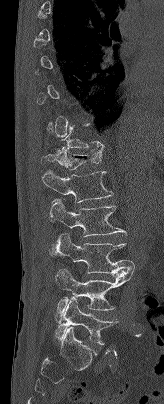
Spine CT · sagittal view · Bone window (WL 400, WW 1800) · the image is 164 mm wide
Coordinates as <box>x1,y1,x2,y2</box>.
A vertebra is boxed only from the first to the last slice where its cross-section is at least a third of its largest; slices outside that range leave it without a box.
L5: <box>55,298,117,345</box>
L4: <box>56,268,134,315</box>
L3: <box>55,234,134,274</box>
L2: <box>50,199,126,254</box>
L1: <box>42,170,113,203</box>
T12: <box>41,146,103,169</box>